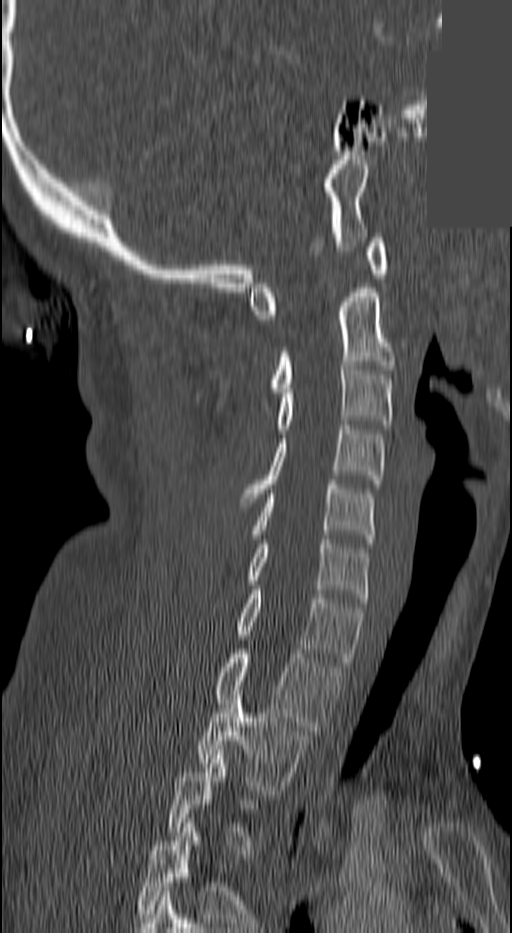

CT spine; sagittal view; bone window; 512x933 px; a region is masked with a constant gray value
Boxes below are [x1, y1, x2, y2] in pixels.
Each vertebra is boxed only on the slices from the first to the last where its cross-section reaches a third of its largest, so a slice outside that range leaves it unboxed.
{"vertebrae":{"C1":[250,238,388,319],"C2":[272,288,395,392],"C3":[278,361,392,433],"C4":[242,425,384,502],"C5":[254,480,373,543],"C6":[250,539,370,602],"C7":[235,590,362,666],"T1":[217,649,340,735],"T2":[199,690,308,794]}}